Spine CT; sagittal reformat; 6 vertebrae labeled in this scan
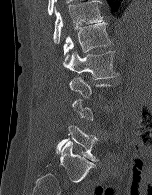
Columns x1, y1, x2, y2 give each box's top-left and bottom-right pixels.
A vertebra gets a box only on the slices from the first to the last where its cross-section is at least a third of its largest; on a slice outside that range it gets none.
| vertebra | x1 | y1 | x2 | y2 |
|---|---|---|---|---|
| T12 | 53 | 0 | 103 | 44 |
| L1 | 63 | 22 | 111 | 61 |
| L2 | 63 | 51 | 118 | 79 |
| L5 | 56 | 125 | 98 | 161 |